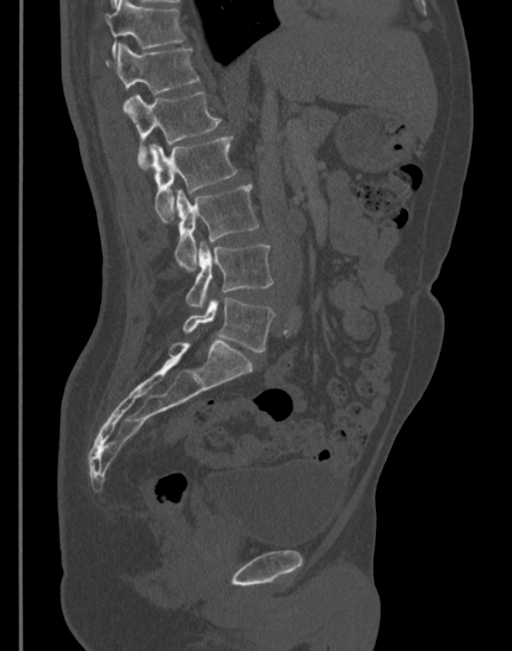
CT spine; sagittal view; bone window
Box edges are left/top/right/bottom in pixels.
Vertebra bounding boxes:
- T11: left=105, top=0, right=184, bottom=58
- T12: left=105, top=44, right=199, bottom=93
- L1: left=123, top=91, right=221, bottom=168
- L2: left=148, top=135, right=238, bottom=220
- L3: left=175, top=185, right=258, bottom=270
- L4: left=185, top=242, right=273, bottom=309
- L5: left=182, top=298, right=275, bottom=352